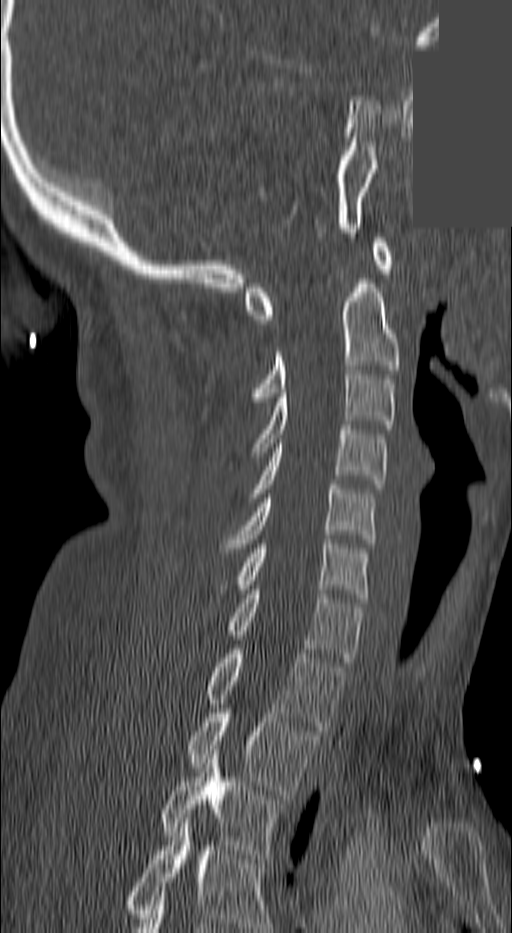
CT, spine; sagittal view; 512x933 px; 140 mm across the image; some of the image was removed or blocked out with constant pixels
Bounding boxes as [x1, y1, x2, y2] in pixel coordinates. Labels in this scan begin with C1 at the top and end with T3 at the bottom. Vertebrae labeled: T3 at [162, 750, 282, 858], T2 at [188, 709, 318, 794], T1 at [206, 649, 344, 730], C7 at [228, 590, 362, 662], C6 at [239, 539, 370, 598], C5 at [221, 485, 373, 552], C4 at [247, 425, 388, 497], C3 at [249, 370, 395, 456], C2 at [247, 283, 399, 406], C1 at [246, 238, 392, 324].